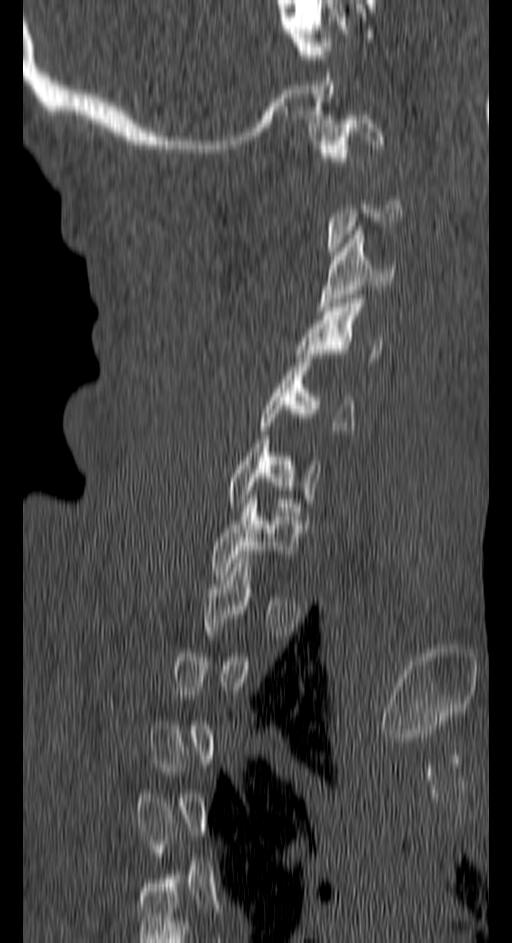

CT, spine; sagittal view; bone window; 150 mm image width. Bounding boxes as [x1, y1, x2, y2] in pixel coordinates.
A vertebra is boxed only from the first to the last slice where its cross-section is at least a third of its largest; slices outside that range leave it without a box.
Vertebra bounding boxes:
- C1: [315, 115, 383, 165]
- C3: [317, 226, 396, 310]
- C4: [295, 299, 381, 366]
- C5: [257, 358, 355, 434]
- C6: [226, 439, 321, 507]
- C7: [209, 499, 298, 575]